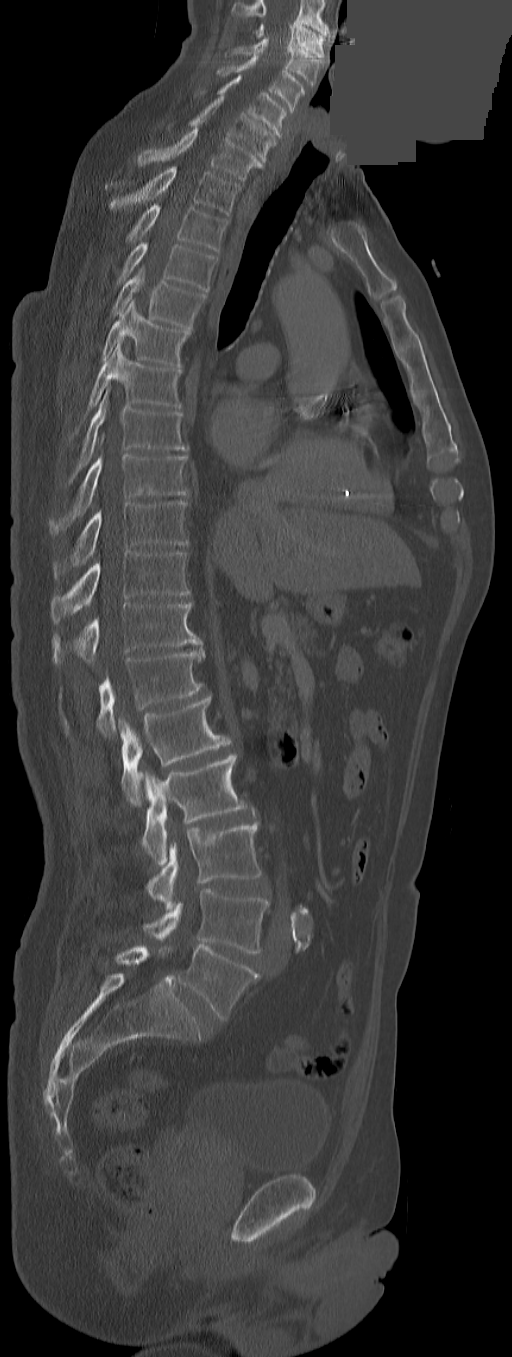 CT. sagittal view. 512x1357 px. the image is 291 mm wide. an area of the scan was removed and filled with constant pixels
Each box given as x1,y1,x2,y2. Labels in this scan begin with C3 at the top and end with L5 at the bottom. The labels name an extra thoracic vertebra here, T13, which comes after T12 and before L1. Vertebrae labeled: C3 at x1=256, y1=23, x2=325, y2=57, C4 at x1=225, y1=38, x2=323, y2=86, C5 at x1=217, y1=56, x2=304, y2=110, C6 at x1=217, y1=74, x2=287, y2=136, C7 at x1=188, y1=97, x2=276, y2=162, T1 at x1=138, y1=127, x2=264, y2=181, T2 at x1=111, y1=166, x2=239, y2=214, T3 at x1=127, y1=203, x2=228, y2=251, T4 at x1=117, y1=242, x2=218, y2=292, T5 at x1=111, y1=264, x2=205, y2=330, T6 at x1=102, y1=299, x2=189, y2=371, T7 at x1=71, y1=343, x2=181, y2=436, T8 at x1=67, y1=389, x2=188, y2=482, T9 at x1=50, y1=454, x2=188, y2=534, T10 at x1=53, y1=500, x2=188, y2=578, T11 at x1=51, y1=551, x2=189, y2=624, T12 at x1=53, y1=602, x2=202, y2=665, T13 at x1=65, y1=650, x2=203, y2=737, L1 at x1=118, y1=694, x2=228, y2=804, L2 at x1=141, y1=754, x2=251, y2=865, L3 at x1=146, y1=822, x2=262, y2=908, L4 at x1=143, y1=889, x2=269, y2=953, L5 at x1=177, y1=944, x2=259, y2=1020.